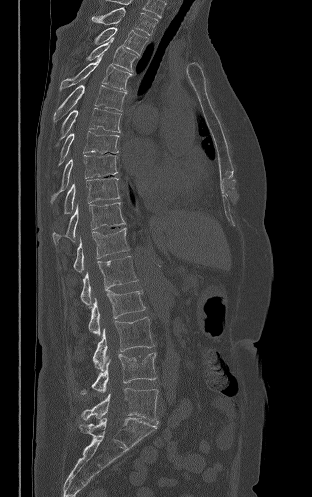
CT. sagittal view. Bone window (WL 400, WW 1800)
Each vertebra maps to its box as [x1, y1, x2, y2], the pixel coordinates of its top-left and bottom-right corners.
{"vertebrae":{"L5":[81,388,158,423],"L4":[81,353,156,394],"L3":[93,317,154,370],"L2":[88,290,145,335],"L1":[80,256,138,305],"T12":[73,228,129,272],"T11":[52,202,125,243],"T10":[64,178,120,213],"T9":[51,155,118,202],"T8":[58,130,119,165],"T7":[60,108,121,139],"T6":[53,85,126,121],"T5":[60,55,131,91],"T4":[86,37,137,71],"T3":[94,27,148,55],"T2":[92,7,158,35]}}